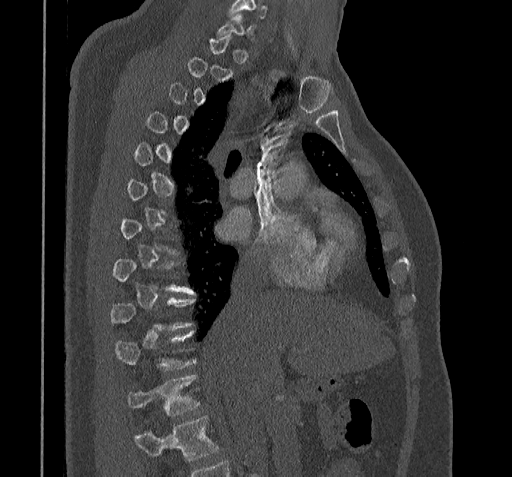

CT, spine; sagittal view; W/L 1800/400 HU; 512x477 px; the image is 322 mm wide

A vertebra is boxed only from the first to the last slice where its cross-section is at least a third of its largest; slices outside that range leave it without a box.
A vertebra cut off by the bottom edge of the scan is not labeled and has no box.
<vertebrae><v name="T11" x1="128" y1="375" x2="199" y2="415"/><v name="T10" x1="114" y1="332" x2="194" y2="370"/><v name="T9" x1="109" y1="299" x2="194" y2="330"/></vertebrae>